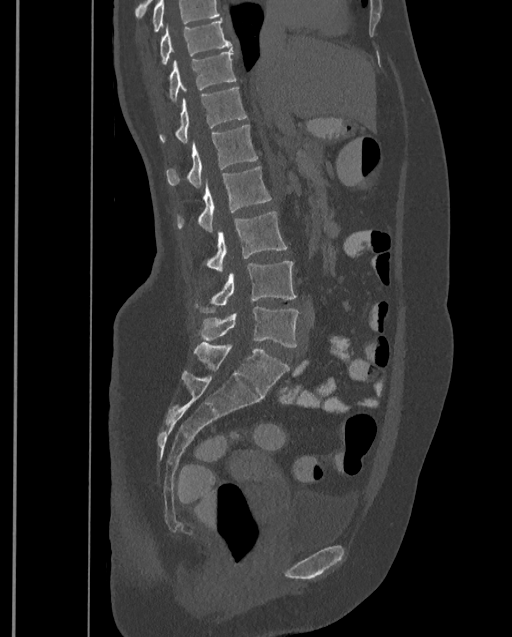
CT spine — sagittal view — image width 399 mm

Columns x1, y1, x2, y2 give each box's top-left and bottom-right pixels.
No box is given to a vertebra that the top edge of the scan cuts off.
Labels in this scan begin with T9 at the top and end with L4 at the bottom.
| vertebra | x1 | y1 | x2 | y2 |
|---|---|---|---|---|
| T9 | 159 | 17 | 231 | 65 |
| T10 | 168 | 49 | 236 | 103 |
| T11 | 159 | 87 | 247 | 143 |
| T12 | 165 | 125 | 258 | 187 |
| L1 | 177 | 166 | 271 | 231 |
| L2 | 204 | 211 | 286 | 270 |
| L3 | 195 | 260 | 297 | 313 |
| L4 | 197 | 306 | 299 | 347 |